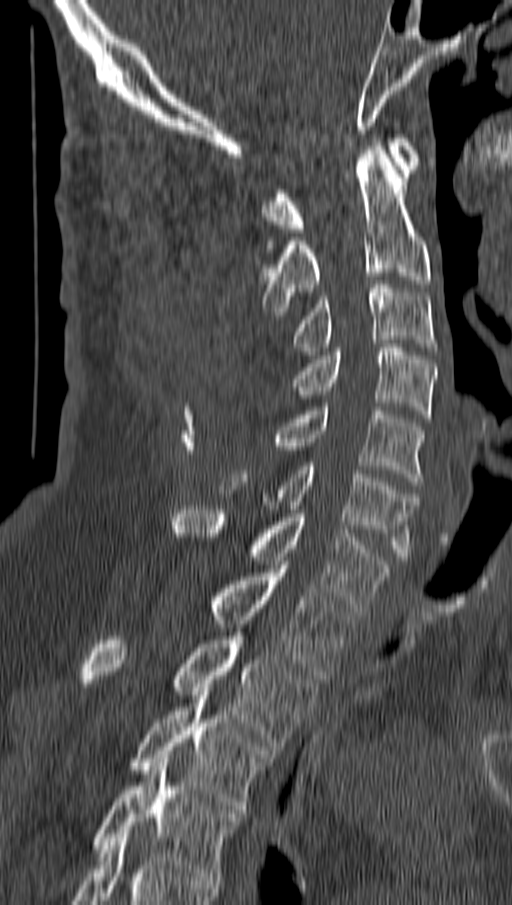 CT. sagittal view. W/L 1800/400 HU. 512x905 px. the image is 162 mm wide
Coordinates as <box>x1,y1,x2,y2</box>.
Vertebra bounding boxes:
- C1: <box>263,134,420,232</box>
- C2: <box>260,142,430,315</box>
- C3: <box>292,280,437,355</box>
- C4: <box>292,344,436,418</box>
- C5: <box>273,403,424,485</box>
- C6: <box>220,462,417,560</box>
- C7: <box>172,506,389,611</box>
- T1: <box>210,565,354,679</box>
- T2: <box>80,632,316,750</box>
- T3: <box>131,691,275,813</box>
- T4: <box>93,759,240,880</box>